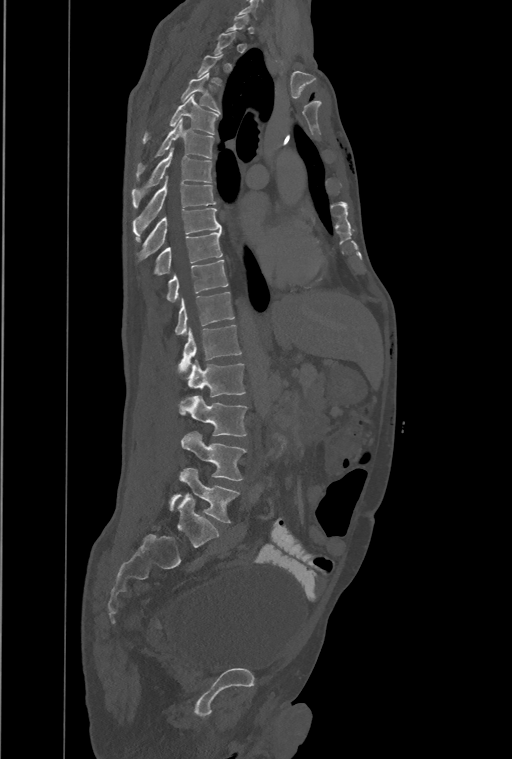
CT, spine; sagittal view; Bone window (WL 400, WW 1800)
Box edges are left/top/right/bottom in pixels.
Not every vertebra on this slice has a box: a vertebra is boxed only from the first to the last slice where its cross-section is at least a third of its largest, and this slice is outside that range for at least one of them.
Labels in this scan begin with T1 at the top and end with L4 at the bottom.
The labels name an extra thoracic vertebra here, T13, which comes after T12 and before L1.
Vertebra bounding boxes:
- T4: left=181, top=72, right=219, bottom=111
- T5: left=143, top=95, right=218, bottom=143
- T6: left=136, top=119, right=213, bottom=179
- T7: left=132, top=148, right=212, bottom=207
- T8: left=133, top=177, right=215, bottom=239
- T9: left=140, top=208, right=222, bottom=258
- T10: left=154, top=230, right=222, bottom=275
- T11: left=166, top=260, right=227, bottom=301
- T12: left=175, top=291, right=234, bottom=335
- T13: left=178, top=325, right=241, bottom=371
- L1: left=187, top=360, right=245, bottom=397
- L2: left=179, top=396, right=247, bottom=436
- L3: left=181, top=431, right=245, bottom=480
- L4: left=170, top=468, right=238, bottom=523